Spine CT — sagittal view — bone window
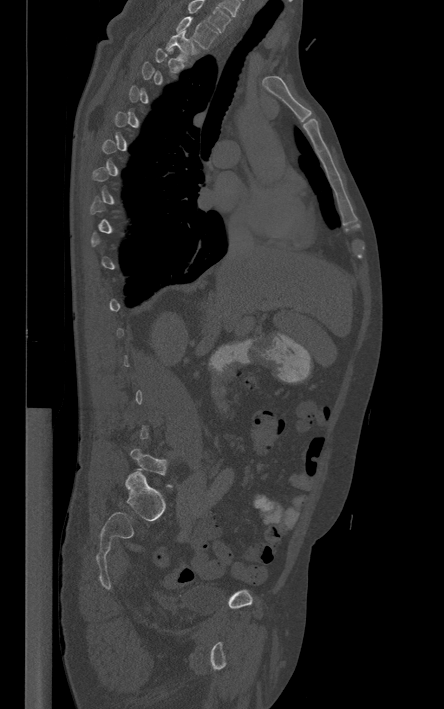

A vertebra gets a box only on the slices from the first to the last where its cross-section is at least a third of its largest; on a slice outside that range it gets none.
The highest labeled vertebra in this scan is T1; the lowest is L5.
<vertebrae><v name="T1" x1="176" y1="16" x2="217" y2="48"/><v name="T2" x1="165" y1="30" x2="198" y2="61"/></vertebrae>